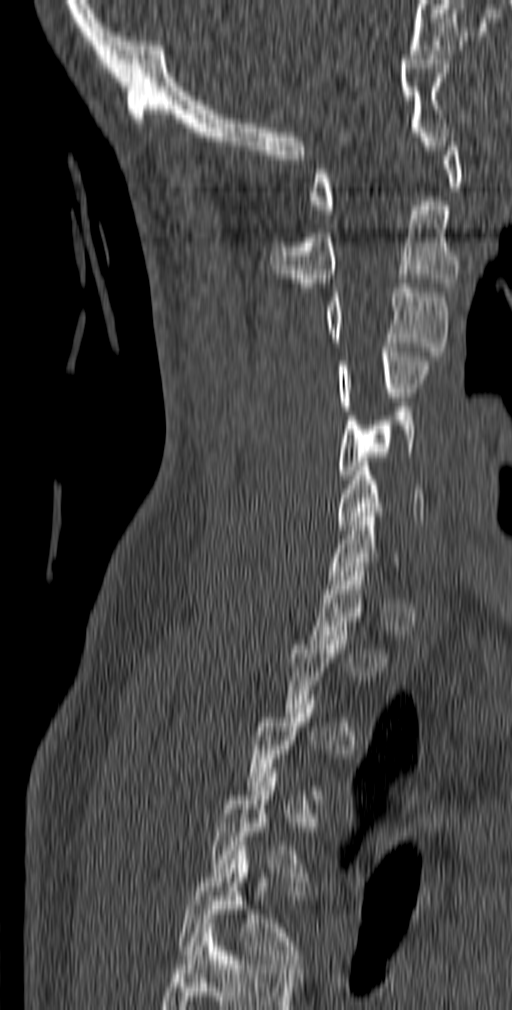 CT; sagittal reformat; bone window
Bounding boxes as [x1, y1, x2, y2] in pixel coordinates.
Not every vertebra on this slice has a box: a vertebra is boxed only from the first to the last slice where its cross-section is at least a third of its largest, and this slice is outside that range for at least one of them.
Labels in this scan begin with C1 at the top and end with T5 at the bottom.
T5: [177, 850, 304, 968]
T4: [210, 773, 313, 881]
C6: [338, 462, 424, 529]
C5: [338, 407, 417, 479]
C4: [338, 347, 432, 410]
C3: [323, 283, 448, 356]
C2: [270, 201, 459, 287]
C1: [309, 133, 461, 214]